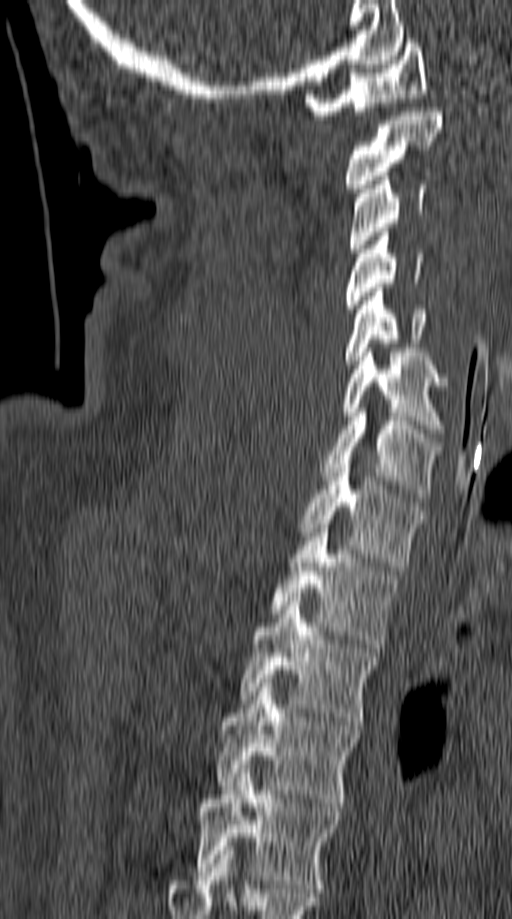
CT, spine; sagittal view; 512x919 px
Box values are [left, top, right, bottom] in pixels.
{"vertebrae":{"C1":[305,39,426,119],"C2":[345,107,443,192],"C3":[348,172,426,252],"C4":[345,228,423,313],"C5":[345,288,426,368],"C6":[341,348,447,433],"C7":[323,408,440,497],"T1":[298,460,419,570],"T2":[271,524,399,648],"T3":[241,597,378,725],"T4":[218,683,358,807],"T5":[194,769,337,892]}}